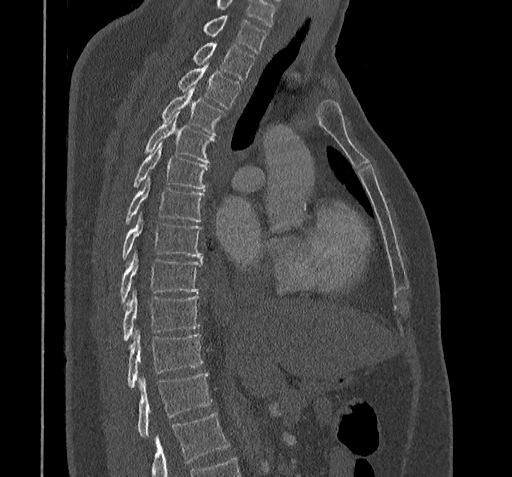 Computed tomography of the spine. sagittal view
Boxes are (x1, y1, x2, y2) in pixels. A vertebra cut off by the bottom edge of the scan is not labeled and has no box. Labels in this scan begin with C7 at the top and end with T11 at the bottom. The labeled vertebrae in this slice are: C7 at (203, 16, 266, 52), T1 at (192, 43, 255, 79), T2 at (178, 63, 239, 108), T3 at (160, 89, 224, 135), T4 at (144, 113, 213, 162), T5 at (133, 142, 207, 188), T6 at (125, 179, 204, 222), T7 at (122, 215, 202, 259), T8 at (121, 252, 202, 304), T9 at (122, 292, 199, 341), T10 at (127, 331, 202, 388), T11 at (138, 374, 212, 437).